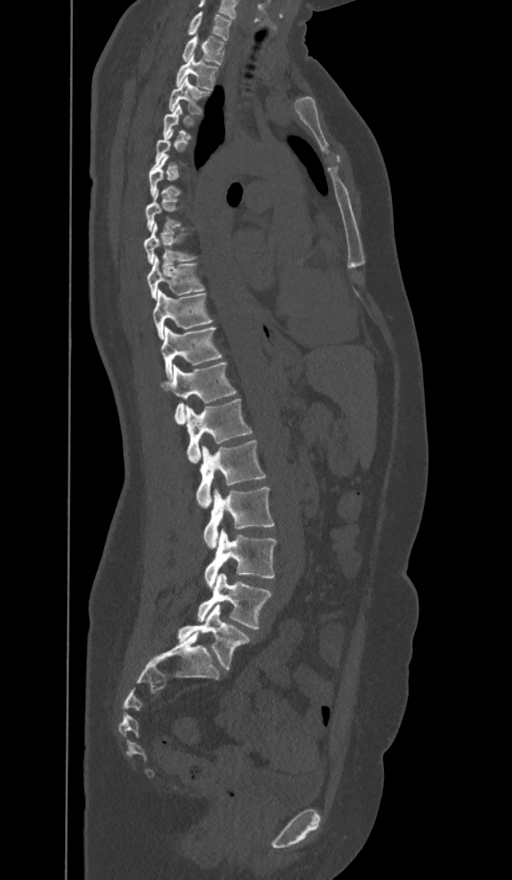
Computed tomography of the spine. sagittal view. Boxes: x1 y1 x2 y2 (pixel coords, space-separated).
A vertebra gets a box only on the slices from the first to the last where its cross-section is at least a third of its largest; on a slice outside that range it gets none.
These labels give the spine a sixth lumbar vertebra, L6, below L5.
Vertebra bounding boxes:
- C7: 187 12 230 40
- T1: 182 36 223 64
- T2: 175 55 218 89
- T3: 168 78 210 114
- T6: 149 155 180 196
- T8: 144 223 195 263
- T9: 146 255 204 298
- T10: 153 290 212 338
- T11: 160 327 222 377
- T12: 161 362 236 423
- L1: 185 399 252 462
- L2: 196 440 264 508
- L3: 204 487 274 547
- L4: 205 530 275 587
- L5: 197 573 271 629
- L6: 178 605 249 669